CT — sagittal reformat — 531x786 px
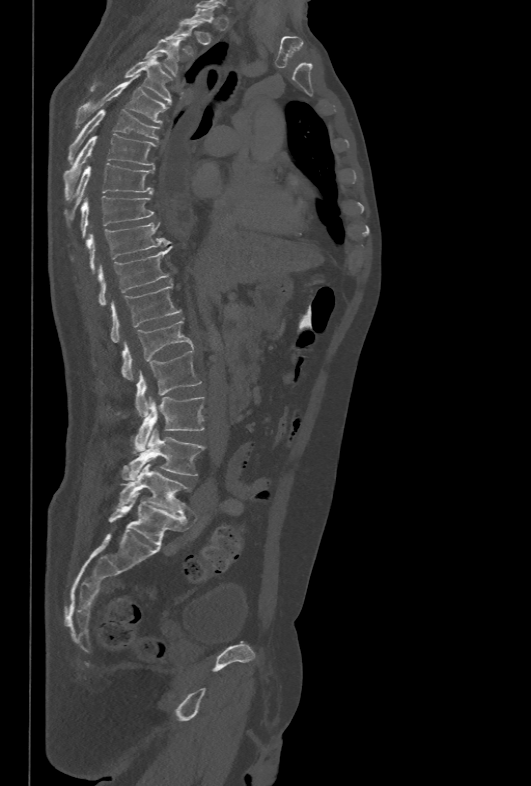

In the table, x1 and y1 are a box's top-left corner and x2 and y2 its bottom-right corner, in pixels.
A vertebra is boxed only from the first to the last slice where its cross-section is at least a third of its largest; slices outside that range leave it without a box.
| vertebra | x1 | y1 | x2 | y2 |
|---|---|---|---|---|
| L5 | 118 | 463 | 190 | 514 |
| L4 | 121 | 428 | 204 | 481 |
| L3 | 134 | 396 | 204 | 452 |
| L2 | 136 | 350 | 201 | 416 |
| L1 | 121 | 319 | 193 | 381 |
| T12 | 111 | 284 | 182 | 343 |
| T11 | 99 | 247 | 170 | 305 |
| T10 | 87 | 222 | 168 | 273 |
| T9 | 80 | 196 | 154 | 235 |
| T8 | 65 | 163 | 154 | 221 |
| T7 | 63 | 134 | 156 | 199 |
| T6 | 67 | 109 | 159 | 163 |
| T5 | 76 | 75 | 168 | 128 |
| T4 | 90 | 54 | 172 | 103 |
| T3 | 144 | 36 | 184 | 76 |